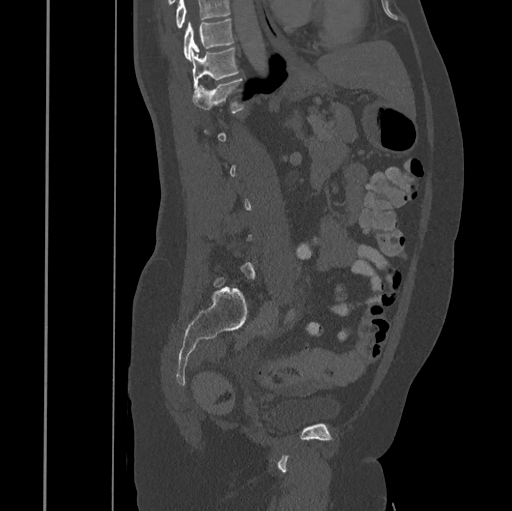

Computed tomography of the spine — sagittal view — Bone window (WL 400, WW 1800) — 512x511 px

Box values are [left, top, right, bottom] in pixels.
A vertebra gets a box only on the slices from the first to the last where its cross-section is at least a third of its largest; on a slice outside that range it gets none.
Where the top of the scan cuts through a vertebra, that vertebra gets no label or box.
{"vertebrae":{"T10":[183,19,234,59],"T11":[191,47,239,89],"T12":[192,78,244,113]}}